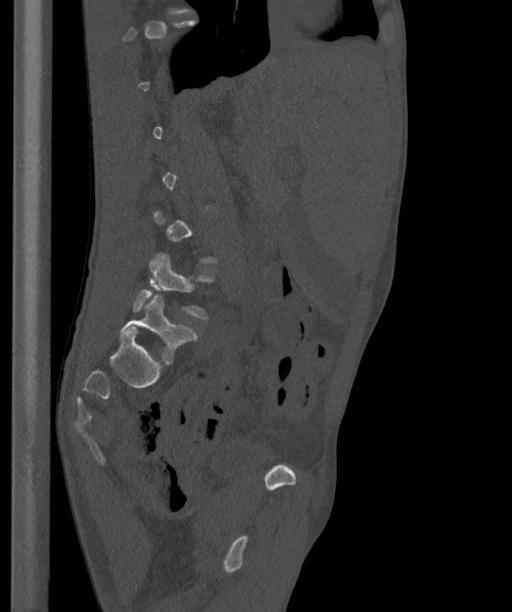

CT — sagittal reformat — 512x612 px
Each box is [x1, y1, x2, y2] in pixels: top-left corner, then bottom-right corner.
A vertebra gets a box only on the slices from the first to the last where its cross-section is at least a third of its largest; on a slice outside that range it gets none.
These labels give the spine a sixth lumbar vertebra, L6, below L5.
{"vertebrae":{"L5":[132,253,213,319],"L6":[121,295,198,362]}}